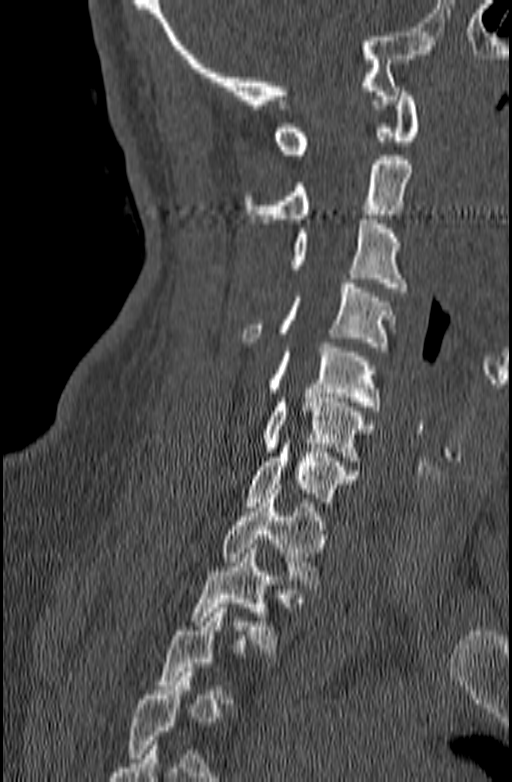

CT; sagittal reformat; Bone window (WL 400, WW 1800). Coordinates as <box>x1,y1,x2,y2</box>.
A vertebra gets a box only on the slices from the first to the last where its cross-section is at least a third of its largest; on a slice outside that range it gets none.
C1: <box>274,87,419,154</box>
C2: <box>244,155,412,223</box>
C3: <box>290,219,407,292</box>
C4: <box>242,283,395,351</box>
C5: <box>268,343,381,410</box>
C6: <box>263,393,373,461</box>
C7: <box>246,439,358,506</box>
T1: <box>221,489,328,589</box>
T2: <box>191,544,280,653</box>